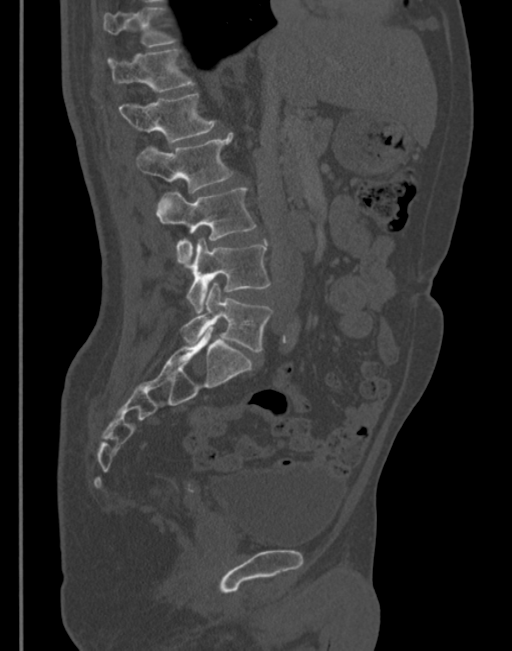
Spine CT. sagittal view. image 345 mm wide
<vertebrae><v name="T11" x1="102" y1="8" x2="174" y2="48"/><v name="T12" x1="107" y1="50" x2="193" y2="92"/><v name="L1" x1="118" y1="93" x2="217" y2="143"/><v name="L2" x1="135" y1="133" x2="233" y2="193"/><v name="L3" x1="156" y1="188" x2="255" y2="267"/><v name="L4" x1="187" y1="239" x2="270" y2="312"/><v name="L5" x1="181" y1="283" x2="272" y2="352"/></vertebrae>